Computed tomography of the spine — sagittal view — bone-window reconstruction — scan covers 6 annotated vertebrae
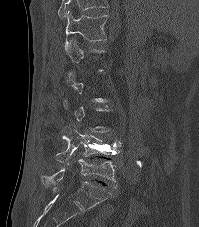 Each box given as x1,y1,x2,y2.
A vertebra is boxed only from the first to the last slice where its cross-section is at least a third of its largest; slices outside that range leave it without a box.
Labels in this scan begin with T12 at the top and end with L5 at the bottom.
Vertebra bounding boxes:
- L5: x1=41, y1=159, x2=116, y2=186
- L4: x1=54, y1=124, x2=122, y2=165
- T12: x1=64, y1=11, x2=107, y2=51